Spine computed tomography; sagittal view; 12 vertebrae labeled in this scan
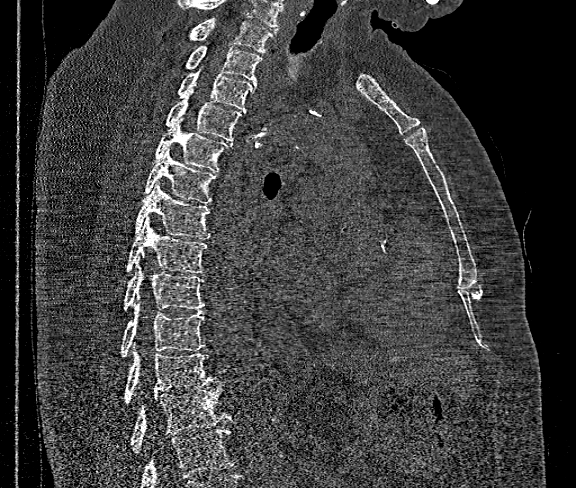 Each box given as x1,y1,x2,y2.
No box is given to a vertebra that the bottom edge of the scan cuts off.
Labels in this scan begin with T1 at the top and end with T12 at the bottom.
| vertebra | x1 | y1 | x2 | y2 |
|---|---|---|---|---|
| T1 | 190 | 18 | 276 | 52 |
| T2 | 186 | 45 | 262 | 83 |
| T3 | 179 | 69 | 257 | 111 |
| T4 | 164 | 95 | 242 | 140 |
| T5 | 154 | 117 | 227 | 171 |
| T6 | 144 | 148 | 215 | 203 |
| T7 | 134 | 182 | 210 | 238 |
| T8 | 126 | 216 | 207 | 273 |
| T9 | 123 | 258 | 205 | 310 |
| T10 | 121 | 302 | 205 | 356 |
| T11 | 125 | 348 | 216 | 404 |
| T12 | 130 | 386 | 231 | 452 |